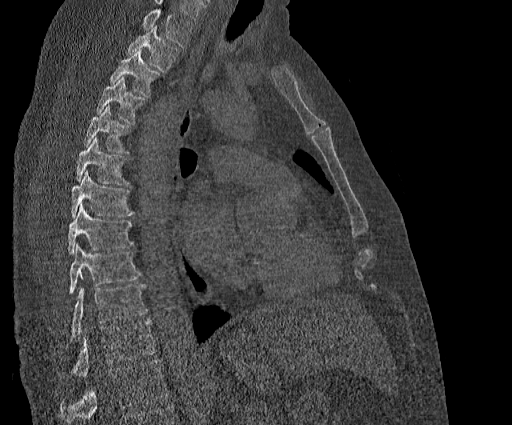

Computed tomography of the spine — sagittal view — bone-window reconstruction
Boxes below are [x1, y1, x2, y2] in pixels.
A vertebra cut off by the top edge of the scan is not labeled and has no box.
Labels in this scan begin with T2 at the top and end with T11 at the bottom.
{"vertebrae":{"T2":[128,27,179,71],"T3":[110,49,159,96],"T4":[97,76,144,123],"T5":[84,105,130,152],"T6":[76,137,128,184],"T7":[70,171,134,216],"T8":[68,204,132,254],"T9":[69,244,140,294],"T10":[70,284,147,338],"T11":[70,320,156,376]}}